CT, spine — sagittal reformat — bone-window reconstruction — a portion of the image is blanked out (constant pixel value)
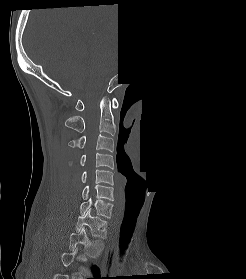

Each vertebra maps to its box as [x1, y1, x2, y2], the pixel coordinates of its top-left and bottom-right corners.
The highest labeled vertebra in this scan is C1; the lowest is T2.
{"vertebrae":{"T2":[69,227,103,257],"T1":[75,209,107,238],"C7":[80,198,113,218],"C6":[82,185,113,200],"C5":[81,169,113,185],"C4":[68,152,114,169],"C3":[68,134,113,152],"C2":[64,97,115,135],"C1":[75,98,118,110]}}